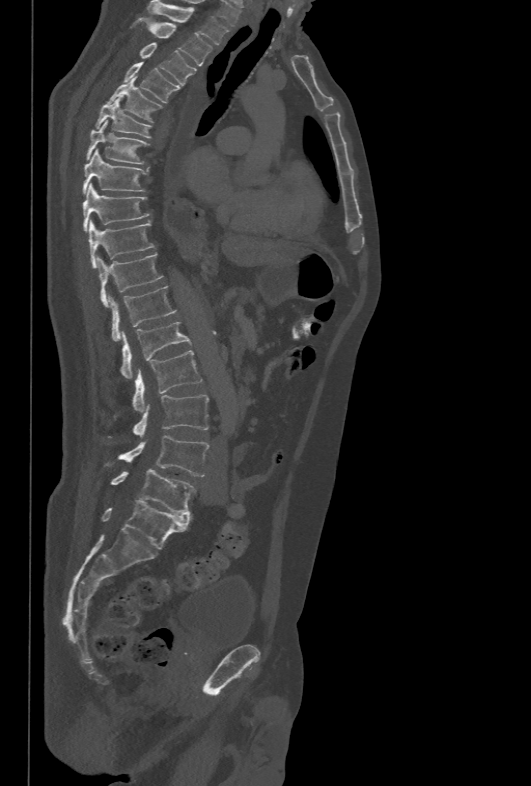

CT spine — sagittal view — 478 mm across the image
Boxes are (x1, y1, x2, y2) in pixels.
Vertebra bounding boxes:
- T1: (146, 1, 228, 44)
- T2: (147, 22, 213, 65)
- T3: (139, 43, 196, 85)
- T4: (123, 62, 178, 103)
- T5: (107, 79, 162, 122)
- T6: (95, 96, 150, 137)
- T7: (87, 120, 149, 164)
- T8: (82, 148, 147, 194)
- T9: (82, 183, 150, 232)
- T10: (89, 219, 155, 267)
- T11: (96, 253, 162, 306)
- T12: (110, 286, 176, 342)
- L1: (120, 322, 191, 378)
- L2: (132, 350, 202, 412)
- L3: (132, 395, 209, 437)
- L4: (108, 435, 209, 476)
- L5: (111, 469, 194, 515)